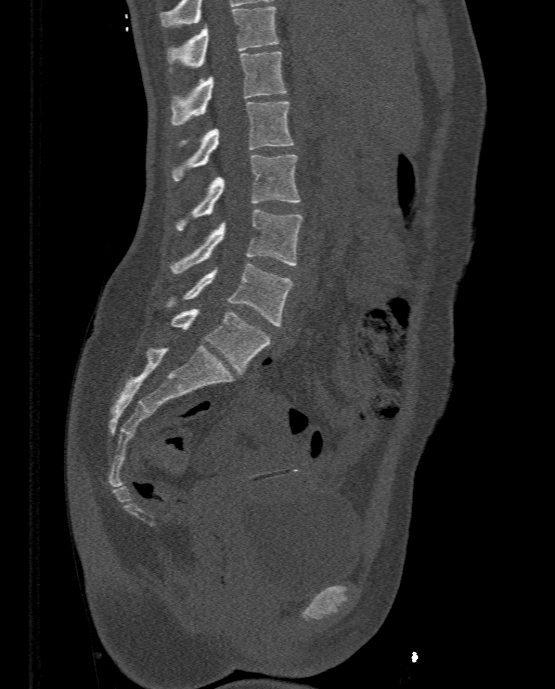
CT, spine · sagittal view
Each box given as x1,y1,x2,y2. 7 vertebrae labeled — T11 at x1=168, y1=6, x2=279, y2=69; T12 at x1=170, y1=51, x2=285, y2=124; L1 at x1=171, y1=101, x2=294, y2=180; L2 at x1=176, y1=154, x2=300, y2=230; L3 at x1=170, y1=210, x2=303, y2=273; L4 at x1=166, y1=263, x2=293, y2=325; L5 at x1=171, y1=309, x2=270, y2=373.